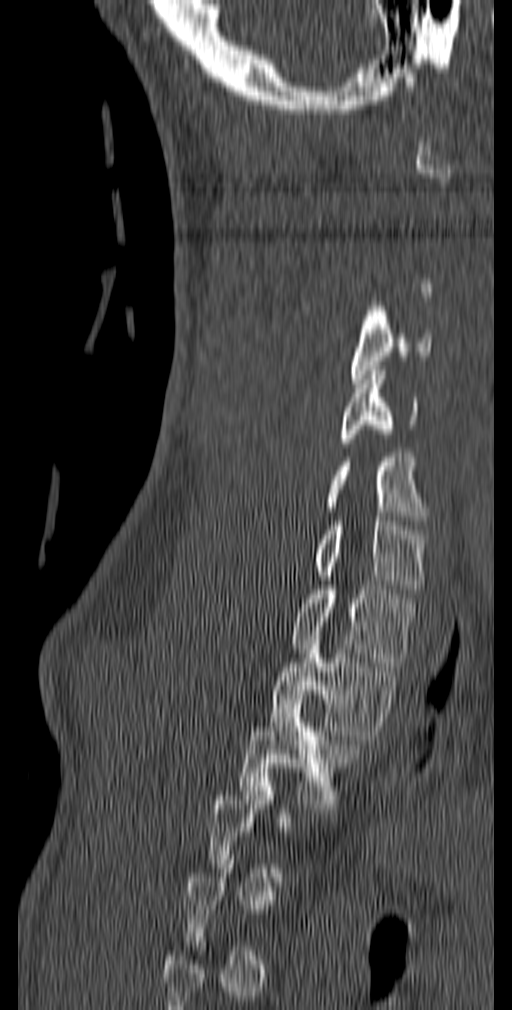
CT, spine · 140 mm wide · sagittal view. Each box given as x1,y1,x2,y2.
A vertebra gets a box only on the slices from the first to the last where its cross-section is at least a third of its largest; on a slice outside that range it gets none.
| vertebra | x1 | y1 | x2 | y2 |
|---|---|---|---|---|
| T3 | 238 | 695 | 361 | 808 |
| T2 | 270 | 645 | 401 | 740 |
| T1 | 290 | 585 | 416 | 666 |
| C7 | 316 | 521 | 427 | 593 |
| C6 | 323 | 453 | 428 | 525 |
| C5 | 338 | 366 | 418 | 447 |
| C4 | 351 | 306 | 432 | 383 |